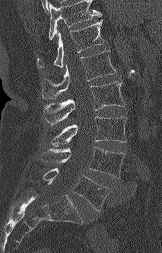 CT, spine — 162 mm image width — sagittal view
Bounding boxes as [x1, y1, x2, y2] in pixel coordinates.
Where the top of the scan cuts through a vertebra, that vertebra gets no label or box.
Vertebra bounding boxes:
- T12: [37, 20, 103, 68]
- L1: [41, 50, 115, 98]
- L2: [43, 81, 125, 125]
- L3: [51, 116, 127, 146]
- L4: [42, 147, 124, 178]
- L5: [43, 168, 108, 210]